Spine CT. sagittal view. Bone window (WL 400, WW 1800)
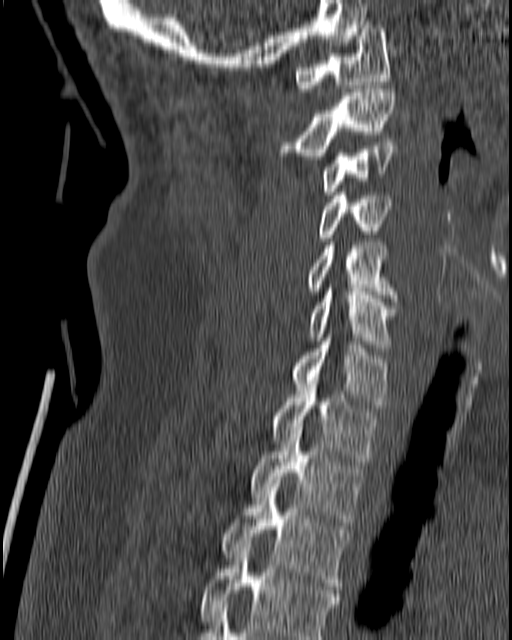
Each box given as x1,y1,x2,y2.
C1: x1=294, y1=21, x2=390, y2=91
C2: x1=277, y1=89, x2=396, y2=159
C3: x1=322, y1=142, x2=398, y2=195
C4: x1=317, y1=192, x2=392, y2=241
C5: x1=305, y1=242, x2=398, y2=301
C6: x1=308, y1=288, x2=398, y2=351
C7: x1=291, y1=338, x2=390, y2=408
T1: x1=271, y1=388, x2=378, y2=461
T2: x1=248, y1=430, x2=364, y2=529
T3: x1=220, y1=480, x2=350, y2=589
T4: x1=199, y1=544, x2=339, y2=639